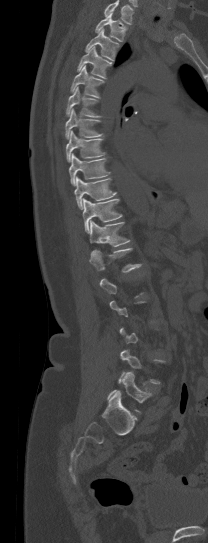
Spine CT; sagittal reformat; bone-window reconstruction
Each vertebra maps to its box as [x1, y1, x2, y2], the pixel coordinates of its top-left and bottom-right corners.
Not every vertebra on this slice has a box: a vertebra is boxed only from the first to the last slice where its cross-section is at least a third of its largest, and this slice is outside that range for at least one of them.
A vertebra cut off by the top edge of the scan is not labeled and has no box.
{"vertebrae":{"T1":[95,13,127,41],"T2":[84,28,118,60],"T3":[77,46,111,78],"T4":[71,65,103,98],"T5":[66,87,101,117],"T6":[65,108,101,138],"T7":[66,131,105,162],"T8":[69,153,109,185],"T9":[74,177,116,209],"T10":[83,198,121,233],"T11":[90,220,129,246],"T12":[89,248,141,272],"L5":[108,372,150,412]}}